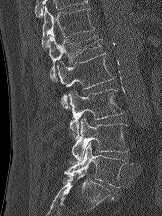

CT; sagittal view; Bone window (WL 400, WW 1800); the image spans 162 mm across; 162x216 px
Box edges are left/top/right/bottom in pixels. Vertebrae labeled: L5 at left=62, top=143, right=126, bottom=187, L4 at left=71, top=118, right=128, bottom=161, L3 at left=68, top=89, right=124, bottom=138, L2 at left=56, top=53, right=114, bottom=108, L1 at left=49, top=33, right=102, bottom=81, T12 at left=41, top=6, right=94, bottom=49.